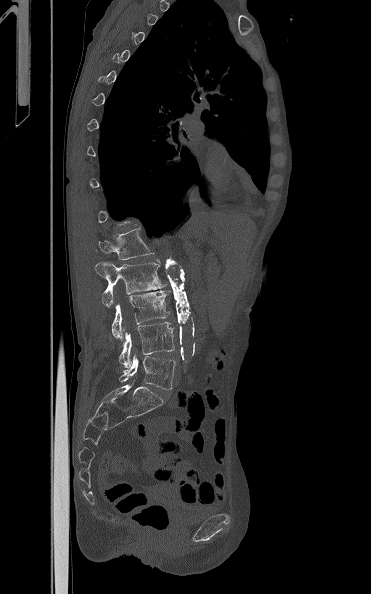
CT · sagittal view · 371x594 px
Each box given as x1,y1,x2,y2.
A vertebra gets a box only on the slices from the first to the last where its cross-section is at least a third of its largest; on a slice outside that range it gets none.
Vertebra bounding boxes:
- L5: x1=119, y1=354, x2=175, y2=389
- L4: x1=118, y1=322, x2=174, y2=368
- L3: x1=111, y1=290, x2=170, y2=338
- L2: x1=95, y1=262, x2=168, y2=307
- L1: x1=98, y1=228, x2=154, y2=260